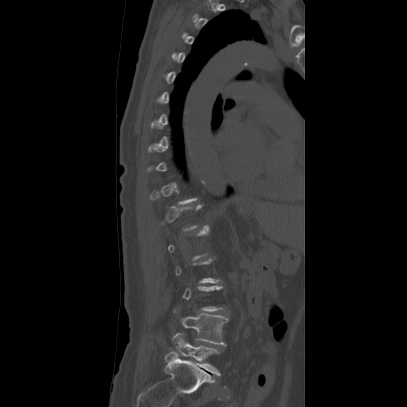 Computed tomography of the spine — sagittal reformat — the image spans 407 mm across. Coordinates as <box>x1,y1,x2,y2</box>.
A vertebra gets a box only on the slices from the first to the last where its cross-section is at least a third of its largest; on a slice outside that range it gets none.
L4: <box>172,313,228,345</box>
L5: <box>178,339,221,376</box>